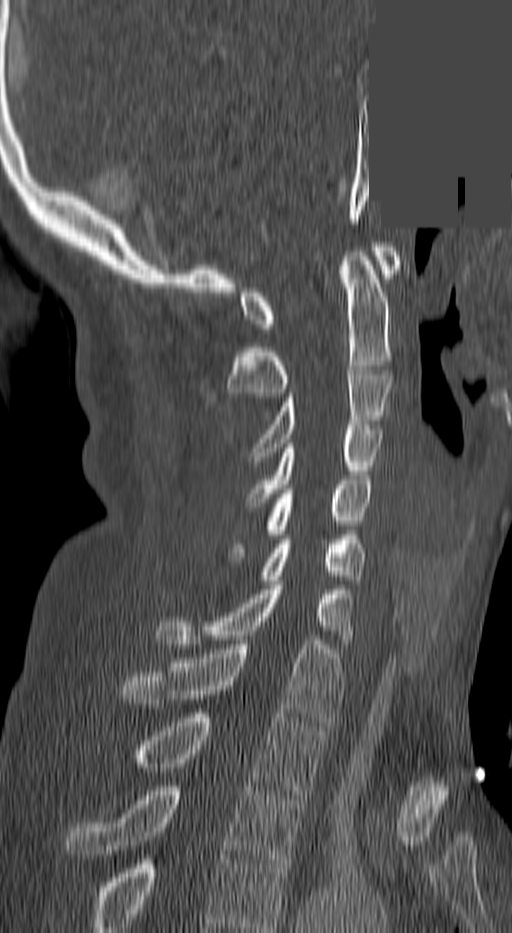

Computed tomography of the spine · sagittal reformat · 512x933 px · a region of this slice is masked with a uniform fill

Boxes: x1:y1:x2:y2 in pixels.
This scan's labels start at C1 at the top and end at T3 at the bottom.
Vertebra bounding boxes:
- C1: 239:247:399:328
- C2: 228:251:392:397
- C3: 254:370:392:456
- C4: 247:425:381:502
- C5: 231:480:370:557
- C6: 261:539:364:584
- C7: 155:585:351:648
- T1: 122:640:340:726
- T2: 133:713:323:794
- T3: 67:786:304:868